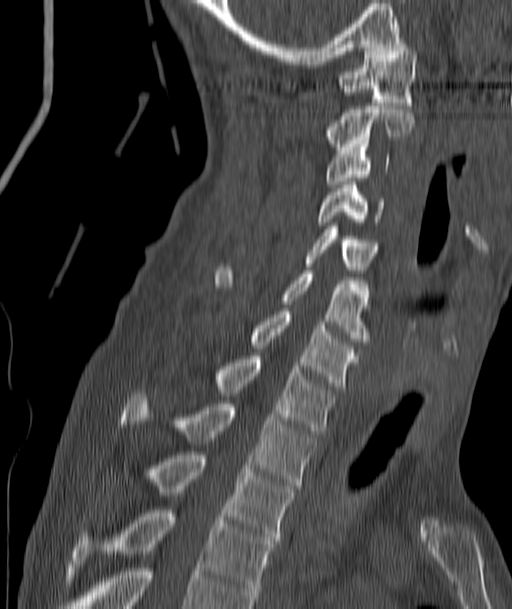 Spine computed tomography; sagittal reformat; bone window

Bounding boxes as [x1, y1, x2, y2] in pixel coordinates.
Vertebra bounding boxes:
- C1: [338, 44, 416, 105]
- C2: [324, 106, 413, 150]
- C3: [327, 144, 389, 187]
- C4: [318, 181, 383, 225]
- C5: [305, 226, 379, 273]
- C6: [214, 267, 369, 341]
- C7: [250, 311, 359, 389]
- T1: [214, 356, 334, 434]
- T2: [121, 394, 315, 488]
- T3: [146, 452, 296, 543]
- T4: [72, 510, 274, 601]